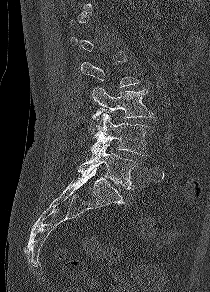 Spine computed tomography. sagittal view. 210x292 px. Coordinates as <box>x1,y1,x2,y2</box>. Each vertebra is boxed only on the slices from the first to the last where its cross-section reaches a third of its largest, so a slice outside that range leaves it unboxed. 3 vertebrae labeled — L3 at <box>91,87,154,118</box>; L4 at <box>88,113,149,157</box>; L5 at <box>78,143,136,189</box>.